CT · sagittal view · 287 mm wide · bone window · part of the image is constant black where the scan was masked
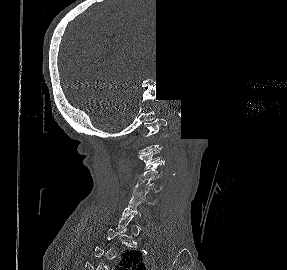 Boxes are (x1, y1, x2, y2) in pixels. Each vertebra is boxed only on the slices from the first to the last where its cross-section reaches a third of its largest, so a slice outside that range leaves it unboxed. 5 vertebrae labeled — C1 at (144, 118, 166, 136); C3 at (138, 149, 164, 169); C4 at (139, 164, 162, 179); C5 at (133, 177, 161, 193); C6 at (128, 191, 158, 205).